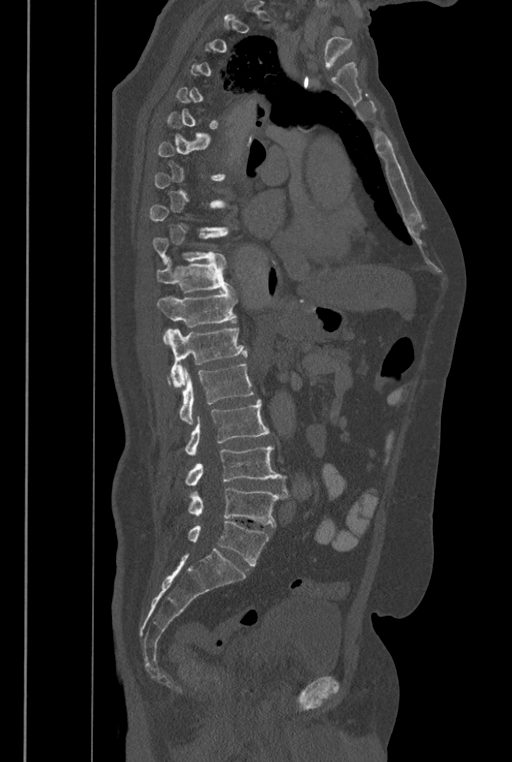 Spine CT · image 446 mm wide · sagittal reformat · 512x762 px

Coordinates as <box>x1,y1,x2,y2</box>.
Each vertebra is boxed only on the slices from the first to the last where its cross-section reaches a third of its largest, so a slice outside that range leaves it unboxed.
In these labels the spine has an L6, a sixth lumbar vertebra below L5.
L6: <box>188,521,269,565</box>
L5: <box>188,488,287,526</box>
L4: <box>186,445,288,493</box>
L3: <box>186,400,269,455</box>
L2: <box>167,363,254,424</box>
L1: <box>165,328,247,386</box>
T12: <box>156,291,237,343</box>
T11: <box>156,258,232,292</box>
T10: <box>153,232,225,263</box>